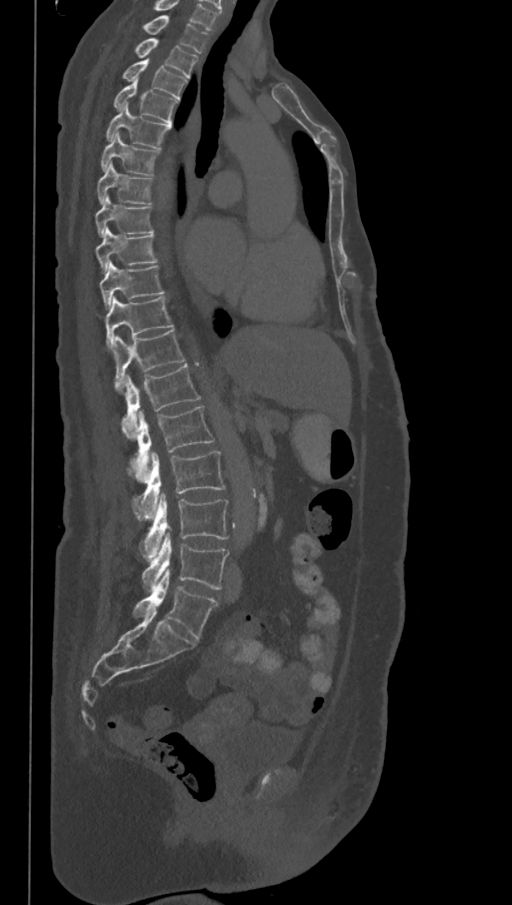

CT, spine — sagittal reformat — 512x905 px
Each vertebra maps to its box as [x1, y1, x2, y2], the pixel coordinates of its top-left and bottom-right corners.
In this scan, the topmost labeled vertebra is T1 and the lowest is L6.
In these labels the spine has an L6, a sixth lumbar vertebra below L5.
{"vertebrae":{"T1":[143,15,209,53],"T2":[135,39,198,78],"T3":[122,58,188,99],"T4":[114,79,178,123],"T5":[106,104,170,148],"T6":[100,131,159,176],"T7":[97,163,152,204],"T8":[94,195,153,237],"T9":[94,227,156,273],"T10":[99,262,164,307],"T11":[104,298,173,348],"T12":[111,329,184,390],"L1":[121,364,201,440],"L2":[128,406,214,482],"L3":[133,451,226,520],"L4":[140,492,228,561],"L5":[142,532,228,591],"L6":[133,570,217,640]}}